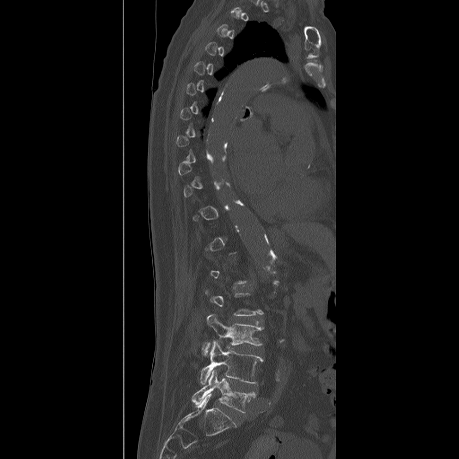 CT, spine — sagittal view — bone-window reconstruction — image 459 mm wide — 459x459 px
Boxes: x1 y1 x2 y2 (pixel coords, space-separated).
A vertebra is boxed only from the first to the last slice where its cross-section is at least a third of its largest; slices outside that range leave it without a box.
Vertebra bounding boxes:
- L3: 202 314 262 355
- L4: 199 341 262 384
- L5: 192 369 255 412